CT; sagittal plane, index 303; bone-window reconstruction; image 363 mm wide; 512x612 px
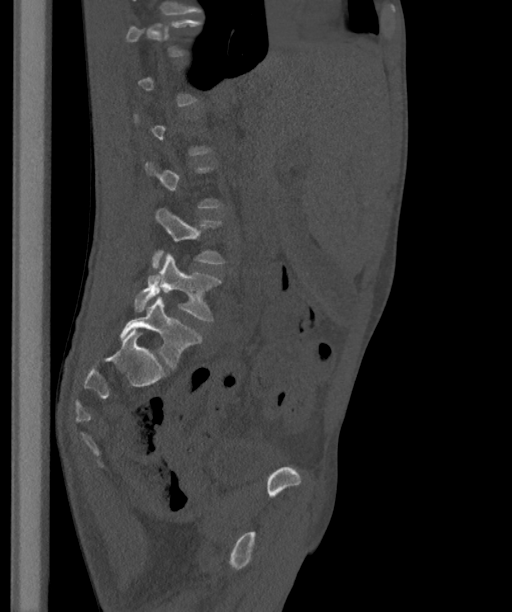 In the table, x1 and y1 are a box's top-left corner and x2 and y2 its bottom-right corner, in pixels.
Each vertebra is boxed only on the slices from the first to the last where its cross-section reaches a third of its largest, so a slice outside that range leaves it unboxed.
In these labels the spine has an L6, a sixth lumbar vertebra below L5.
| vertebra | x1 | y1 | x2 | y2 |
|---|---|---|---|---|
| L4 | 152 | 207 | 223 | 267 |
| L5 | 134 | 253 | 220 | 320 |
| L6 | 119 | 296 | 202 | 367 |